CT spine. sagittal view. scan covers 18 annotated vertebrae. the image is 400 mm wide
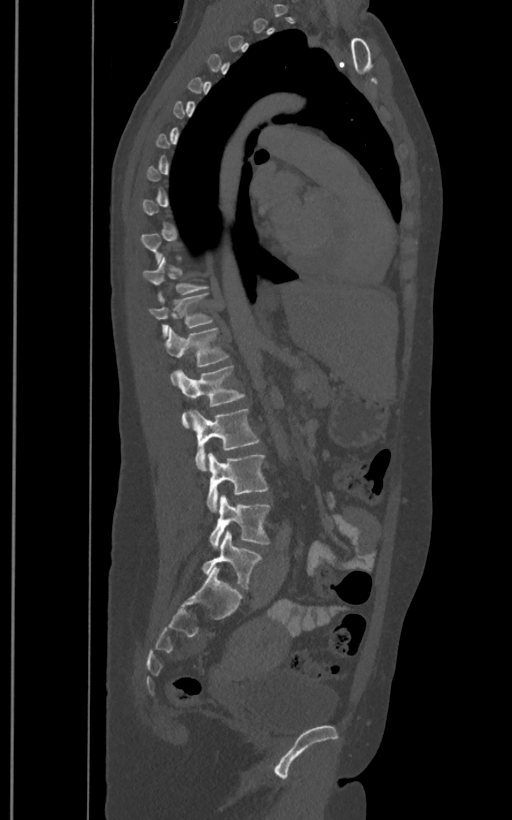 Each row gives a vertebra's box as x1, y1, x2, y2 in pixels: top-left corner, then bottom-right corner.
Not every vertebra on this slice has a box: a vertebra is boxed only from the first to the last slice where its cross-section is at least a third of its largest, and this slice is outside that range for at least one of them.
The labels name a sixth lumbar vertebra for this spine: L6, after L5.
| vertebra | x1 | y1 | x2 | y2 |
|---|---|---|---|---|
| T11 | 143 | 256 | 207 | 302 |
| T12 | 148 | 293 | 215 | 337 |
| L1 | 165 | 326 | 229 | 379 |
| L2 | 175 | 365 | 245 | 428 |
| L3 | 191 | 408 | 260 | 470 |
| L4 | 206 | 453 | 268 | 510 |
| L5 | 210 | 495 | 270 | 549 |
| L6 | 202 | 531 | 261 | 589 |